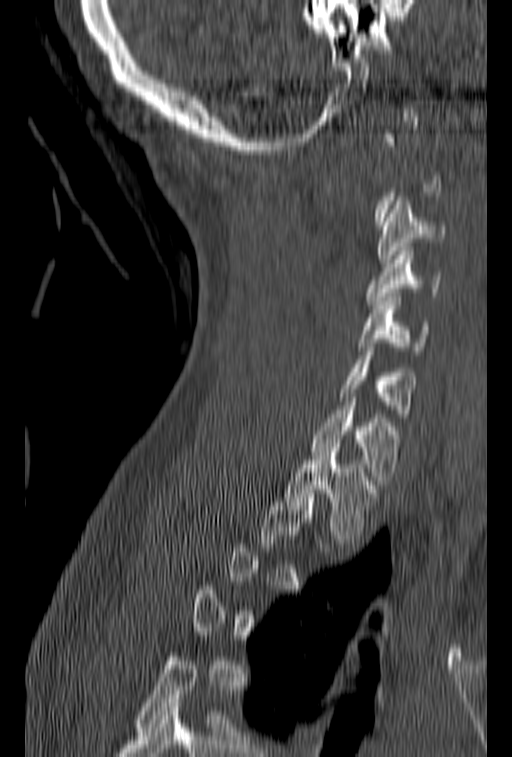 CT; sagittal view. Boxes are (x1, y1, x2, y2) in pixels.
A vertebra is boxed only from the first to the last slice where its cross-section is at least a third of its largest; slices outside that range leave it without a box.
C3: (376, 197, 446, 263)
C4: (366, 247, 442, 304)
C5: (359, 297, 429, 350)
C6: (338, 343, 417, 417)
C7: (312, 393, 402, 484)
T1: (285, 452, 380, 543)